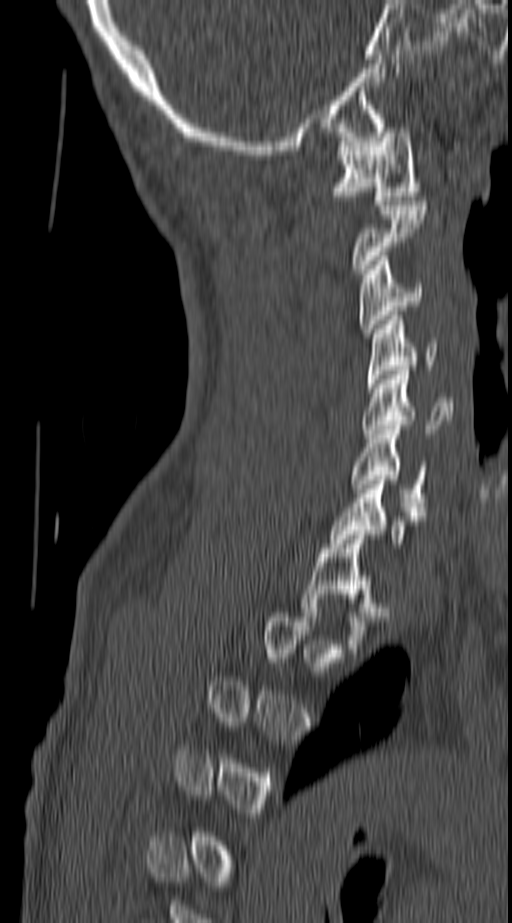 CT, spine; sagittal view; bone window; 512x923 px
Boxes are (x1, y1, x2, y2) in pixels.
Each vertebra is boxed only on the slices from the first to the last where its cross-section reaches a third of its largest, so a slice outside that range leaves it unboxed.
Vertebra bounding boxes:
- C1: (330, 128, 421, 205)
- C2: (349, 201, 428, 273)
- C3: (359, 256, 423, 333)
- C4: (367, 315, 437, 388)
- C5: (363, 370, 453, 438)
- C6: (350, 425, 426, 511)
- C7: (330, 480, 426, 548)
- T1: (300, 530, 387, 653)